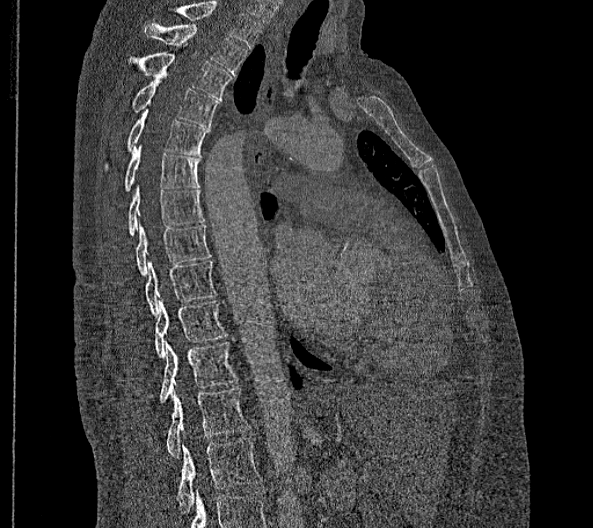 Spine CT · sagittal view · Bone window (WL 400, WW 1800) · 593x528 px

Box edges are left/top/right/bottom in pixels.
This scan's labels start at T2 at the top and end at L2 at the bottom.
In these labels the thoracic vertebrae end at T11, so L1 follows T11.
L2: left=176, top=437, right=262, bottom=511
L1: left=167, top=388, right=249, bottom=457
T11: left=160, top=339, right=237, bottom=402
T10: left=155, top=300, right=227, bottom=358
T9: left=145, top=260, right=216, bottom=315
T8: left=134, top=221, right=210, bottom=276
T7: left=129, top=185, right=204, bottom=236
T6: left=125, top=145, right=198, bottom=191
T5: left=103, top=105, right=211, bottom=169
T4: left=131, top=74, right=219, bottom=126
T3: left=127, top=43, right=231, bottom=99
T2: left=144, top=23, right=247, bottom=76